CT, spine. sagittal view. 427 mm wide. scan covers 9 annotated vertebrae
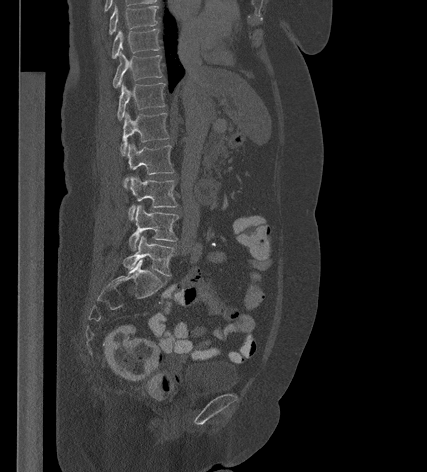

Box edges are left/top/right/bottom in pixels.
| vertebra | x1 | y1 | x2 | y2 |
|---|---|---|---|---|
| T9 | 109 | 5 | 157 | 34 |
| T10 | 112 | 29 | 160 | 58 |
| T11 | 113 | 51 | 162 | 88 |
| T12 | 117 | 82 | 165 | 120 |
| L1 | 120 | 112 | 169 | 154 |
| L2 | 123 | 143 | 174 | 187 |
| L3 | 129 | 176 | 177 | 219 |
| L4 | 129 | 205 | 178 | 250 |
| L5 | 123 | 235 | 174 | 275 |